Computed tomography of the spine; sagittal view; 512x634 px
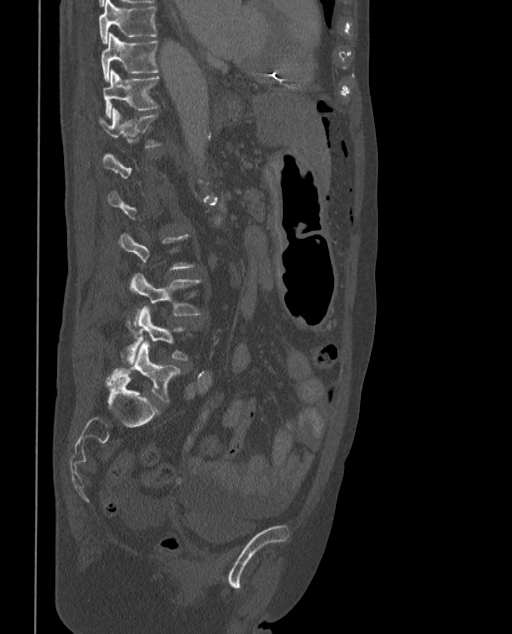 Each row gives a vertebra's box as x1, y1, x2, y2 in pixels: top-left corner, then bottom-right corner.
A vertebra is boxed only from the first to the last slice where its cross-section is at least a third of its largest; slices outside that range leave it without a box.
The labels name a sixth lumbar vertebra for this spine: L6, after L5.
| vertebra | x1 | y1 | x2 | y2 |
|---|---|---|---|---|
| L6 | 107 | 341 | 181 | 402 |
| L5 | 126 | 308 | 188 | 362 |
| L4 | 130 | 273 | 202 | 326 |
| T12 | 99 | 109 | 162 | 147 |
| T11 | 103 | 69 | 159 | 118 |
| T10 | 101 | 32 | 158 | 81 |
| T9 | 99 | 0 | 157 | 43 |